CT spine · sagittal plane, index 249 · bone-window reconstruction · scan covers 9 annotated vertebrae
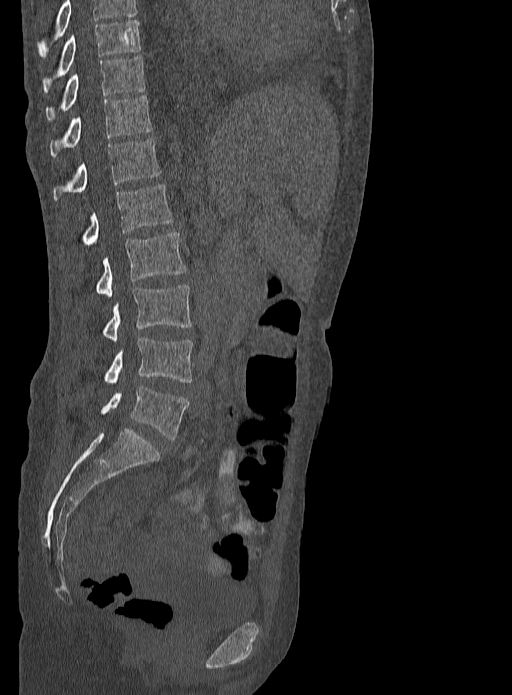

Each vertebra maps to its box as [x1, y1, x2, y2], the pixel coordinates of its top-left and bottom-right corners.
This scan's labels start at T9 at the top and end at L5 at the bottom.
{"vertebrae":{"T9":[41,20,140,93],"T10":[46,55,145,120],"T11":[49,95,152,156],"T12":[54,138,160,200],"L1":[60,185,174,254],"L2":[95,232,186,296],"L3":[101,284,192,340],"L4":[103,338,194,383],"L5":[101,386,189,440]}}